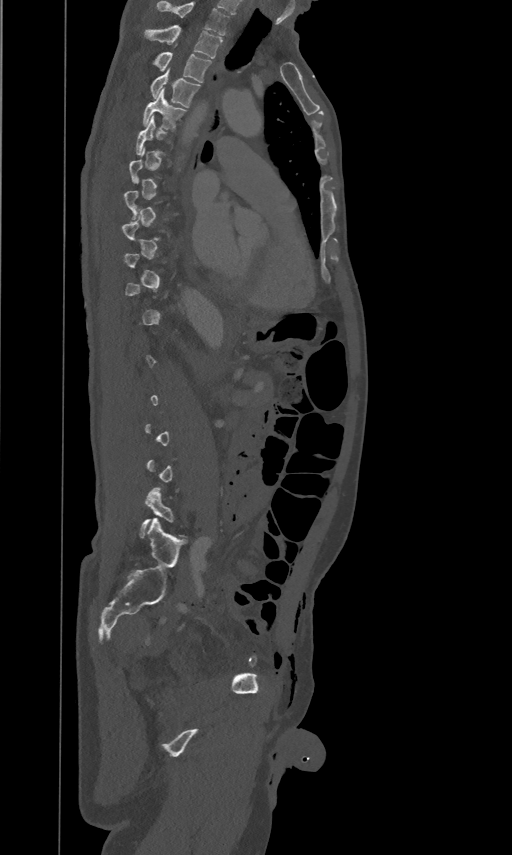
CT, spine — sagittal view — image 461 mm wide — W/L 1800/400 HU
In the table, x1 and y1 are a box's top-left corner and x2 and y2 its bottom-right corner, in pixels.
Not every vertebra on this slice has a box: a vertebra is boxed only from the first to the last slice where its cross-section is at least a third of its largest, and this slice is outside that range for at least one of them.
The highest labeled vertebra in this scan is T2; the lowest is L5.
| vertebra | x1 | y1 | x2 | y2 |
|---|---|---|---|---|
| T2 | 144 | 24 | 223 | 58 |
| T3 | 153 | 51 | 211 | 82 |
| T4 | 151 | 69 | 200 | 107 |
| T5 | 142 | 88 | 186 | 130 |
| L5 | 140 | 487 | 185 | 537 |